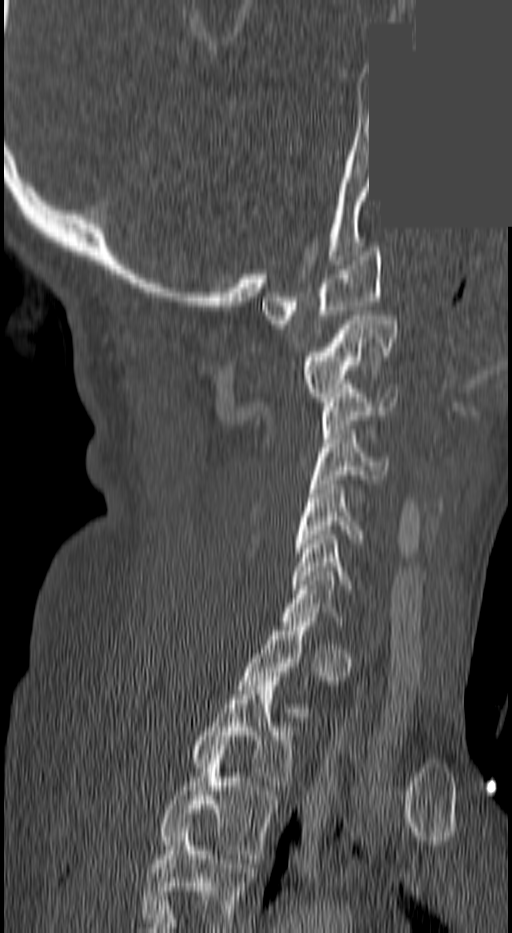
Computed tomography of the spine — sagittal view — Bone window (WL 400, WW 1800) — part of the image is a flat gray fill, not anatomy
Each box given as x1,y1,x2,y2.
Not every vertebra on this slice has a box: a vertebra is boxed only from the first to the last slice where its cross-section is at least a third of its largest, and this slice is outside that range for at least one of them.
This scan's labels start at C1 at the top and end at T3 at the bottom.
C1: x1=262, y1=247, x2=381, y2=324
C2: x1=300, y1=315, x2=395, y2=401
C3: x1=323, y1=389, x2=398, y2=438
C4: x1=312, y1=434, x2=384, y2=488
C5: x1=293, y1=485, x2=362, y2=552
C6: x1=290, y1=535, x2=351, y2=589
T2: x1=192, y1=677, x2=293, y2=790
T3: x1=159, y1=750, x2=278, y2=858